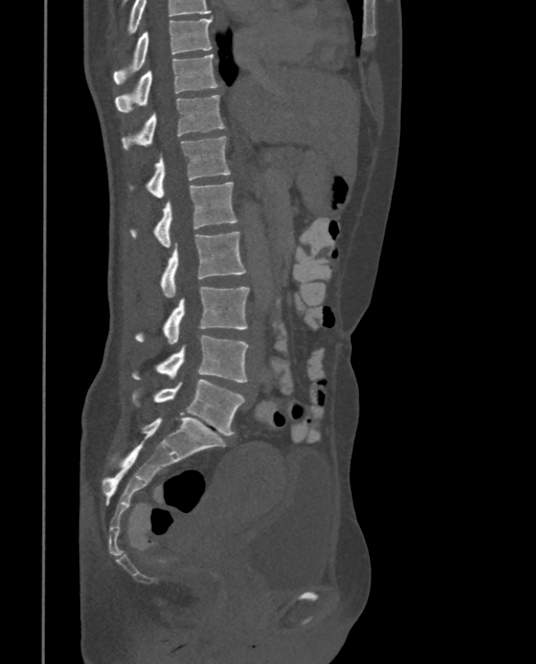
CT spine — the image is 375 mm wide — sagittal view — bone-window reconstruction
The highest labeled vertebra in this scan is T9; the lowest is L5.
<vertebrae><v name="T9" x1="114" y1="17" x2="211" y2="83"/><v name="T10" x1="115" y1="54" x2="219" y2="112"/><v name="T11" x1="122" y1="94" x2="226" y2="149"/><v name="T12" x1="146" y1="136" x2="230" y2="197"/><v name="L1" x1="133" y1="181" x2="238" y2="247"/><v name="L2" x1="161" y1="231" x2="246" y2="297"/><v name="L3" x1="136" y1="287" x2="249" y2="345"/><v name="L4" x1="133" y1="334" x2="249" y2="382"/><v name="L5" x1="134" y1="378" x2="245" y2="435"/></vertebrae>